CT spine · sagittal plane, index 108 · image 210 mm wide · bone window · 210x292 px
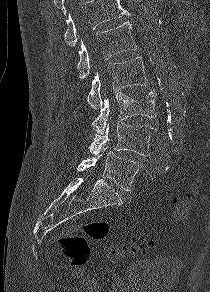
Boxes: x1:y1:x2:y2 in pixels.
A vertebra cut off by the top edge of the scan is not labeled and has no box.
Vertebra bounding boxes:
- L1: 77:22:136:78
- L2: 87:56:147:108
- L3: 91:90:156:135
- L4: 89:121:154:156
- L5: 77:146:141:190